CT spine; sagittal view; W/L 1800/400 HU
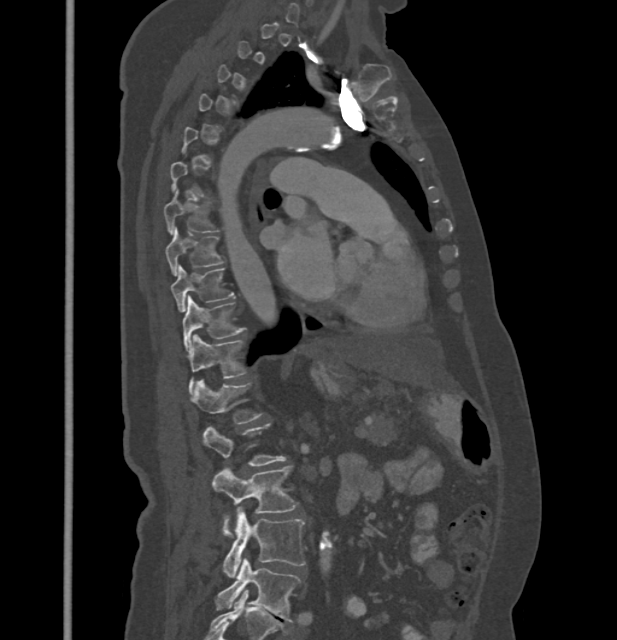
Columns x1, y1, x2, y2 give each box's top-left and bottom-right pixels.
Not every vertebra on this slice has a box: a vertebra is boxed only from the first to the last slice where its cross-section is at least a third of its largest, and this slice is outside that range for at least one of them.
In these labels the thoracic vertebrae end at T11, so L1 follows T11.
| vertebra | x1 | y1 | x2 | y2 |
|---|---|---|---|---|
| T7 | 164 | 189 | 217 | 234 |
| T8 | 165 | 227 | 223 | 275 |
| T9 | 171 | 266 | 234 | 312 |
| T10 | 183 | 296 | 245 | 351 |
| T11 | 188 | 335 | 247 | 392 |
| L1 | 192 | 379 | 262 | 424 |
| L2 | 202 | 423 | 286 | 465 |
| L3 | 212 | 466 | 298 | 538 |
| L4 | 223 | 507 | 305 | 576 |
| L5 | 216 | 559 | 300 | 622 |